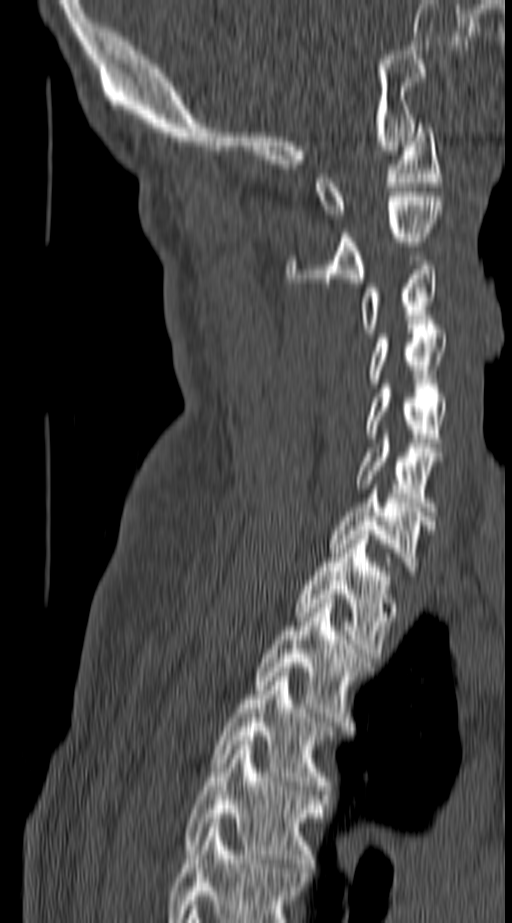 CT. sagittal view. image width 140 mm
Box values are [left, top, right, bottom] in pixels.
In this scan, the topmost labeled vertebra is C1 and the lowest is T4.
{"vertebrae":{"C1":[316,123,441,218],"C2":[287,197,443,282],"C3":[360,261,436,333],"C4":[371,329,447,383],"C5":[367,384,447,447],"C6":[356,434,443,511],"C7":[330,489,432,566],"T1":[296,535,394,657],"T2":[257,599,371,726],"T3":[213,672,329,790],"T4":[184,741,322,872]}}